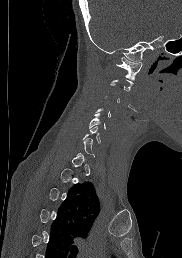 Computed tomography of the spine · sagittal view · 182x258 px
Boxes: x1:y1:x2:y2 in pixels. Each vertebra is boxed only on the slices from the first to the last where its cross-section reaches a third of its largest, so a slice outside that range leaves it unboxed. 3 vertebrae labeled — C1 at 115:57:142:79; C5 at 89:113:106:129; C6 at 82:126:101:142.